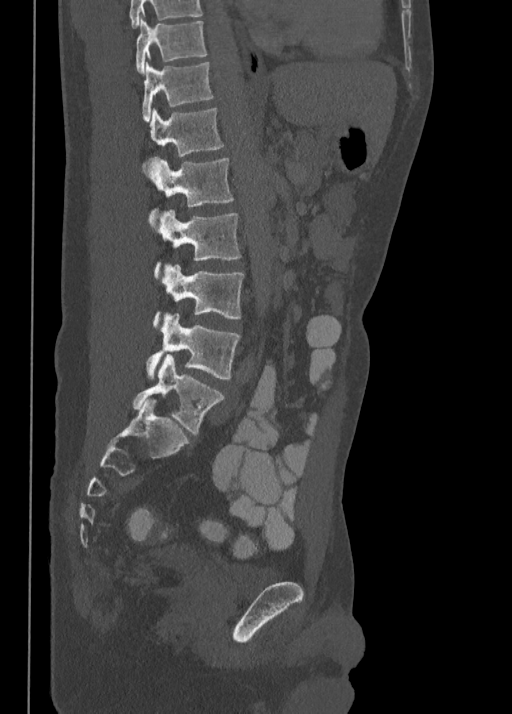

Spine CT · sagittal view

Labels in this scan begin with T10 at the top and end with L5 at the bottom.
<vertebrae><v name="T10" x1="136" y1="20" x2="206" y2="74"/><v name="T11" x1="142" y1="61" x2="214" y2="121"/><v name="T12" x1="141" y1="108" x2="224" y2="171"/><v name="L1" x1="146" y1="157" x2="234" y2="225"/><v name="L2" x1="155" y1="209" x2="242" y2="277"/><v name="L3" x1="153" y1="265" x2="245" y2="328"/><v name="L4" x1="146" y1="313" x2="240" y2="379"/><v name="L5" x1="133" y1="354" x2="224" y2="435"/></vertebrae>